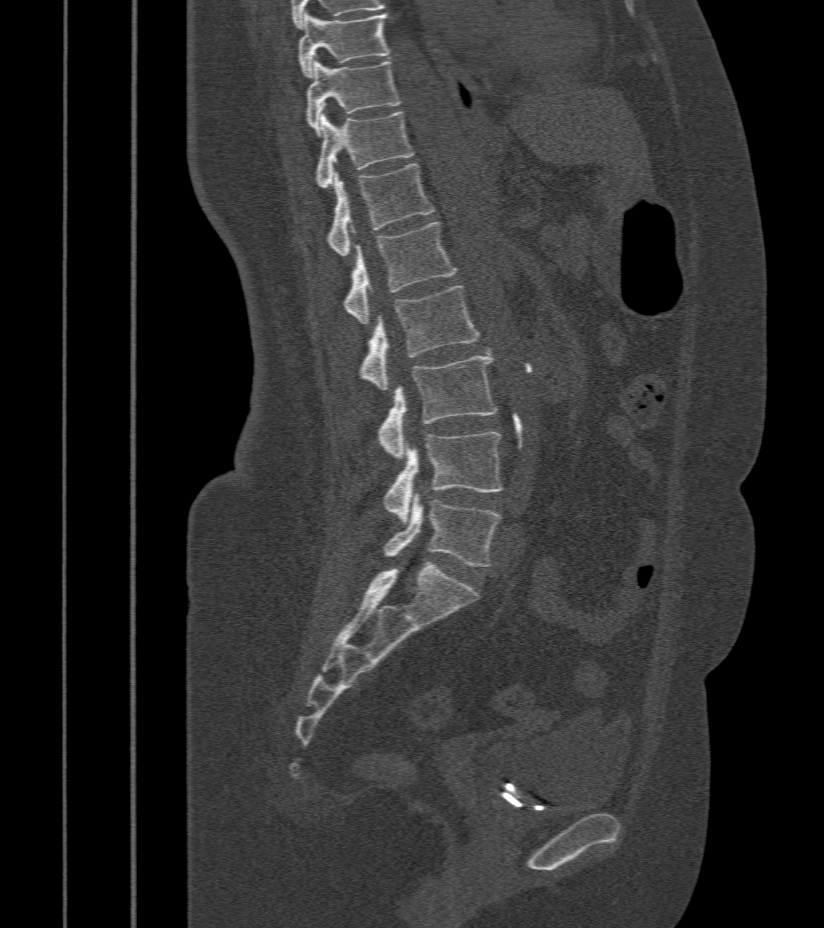 CT, spine. sagittal view. 824x928 px
<vertebrae><v name="L5" x1="383" y1="495" x2="501" y2="566"/><v name="L4" x1="383" y1="433" x2="503" y2="522"/><v name="L3" x1="378" y1="351" x2="496" y2="458"/><v name="L2" x1="357" y1="287" x2="479" y2="390"/><v name="L1" x1="344" y1="223" x2="456" y2="324"/><v name="T12" x1="325" y1="163" x2="435" y2="256"/><v name="T11" x1="314" y1="109" x2="414" y2="188"/><v name="T10" x1="306" y1="57" x2="401" y2="134"/><v name="T9" x1="298" y1="13" x2="390" y2="76"/></vertebrae>